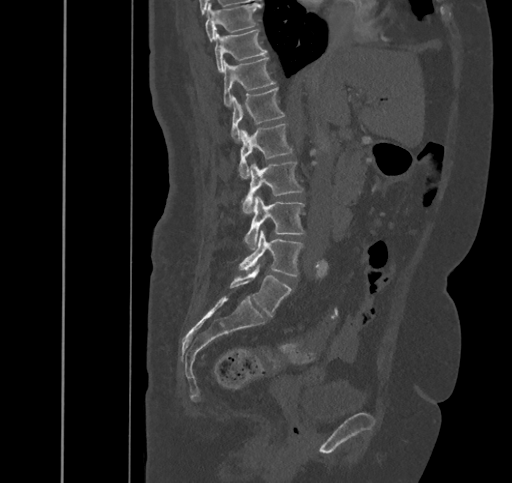

Computed tomography of the spine · sagittal view. In the table, x1 and y1 are a box's top-left corner and x2 and y2 its bottom-right corner, in pixels.
| vertebra | x1 | y1 | x2 | y2 |
|---|---|---|---|---|
| T9 | 205 | 3 | 261 | 40 |
| T10 | 214 | 29 | 267 | 73 |
| T11 | 222 | 57 | 275 | 107 |
| T12 | 231 | 88 | 284 | 143 |
| L1 | 238 | 123 | 292 | 178 |
| L2 | 243 | 162 | 303 | 213 |
| L3 | 244 | 196 | 304 | 249 |
| L4 | 239 | 231 | 303 | 275 |
| L5 | 229 | 265 | 291 | 316 |